Computed tomography of the spine; sagittal plane, index 160; bone window; scan covers 19 annotated vertebrae
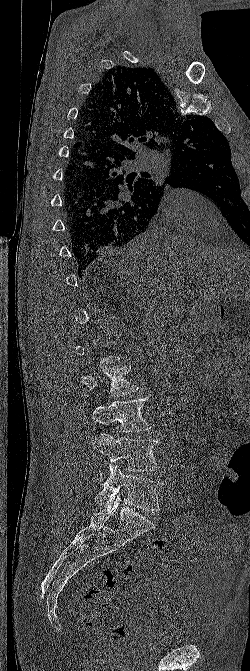
A vertebra gets a box only on the slices from the first to the last where its cross-section is at least a third of its largest; on a slice outside that range it gets none.
<vertebrae><v name="L2" x1="82" y1="366" x2="139" y2="396"/><v name="L3" x1="92" y1="397" x2="151" y2="432"/><v name="L4" x1="93" y1="434" x2="159" y2="481"/><v name="L5" x1="95" y1="463" x2="163" y2="511"/></vertebrae>